Computed tomography of the spine · 500 mm wide · Sagittal slice 268/512 · a region is masked with a constant gray value
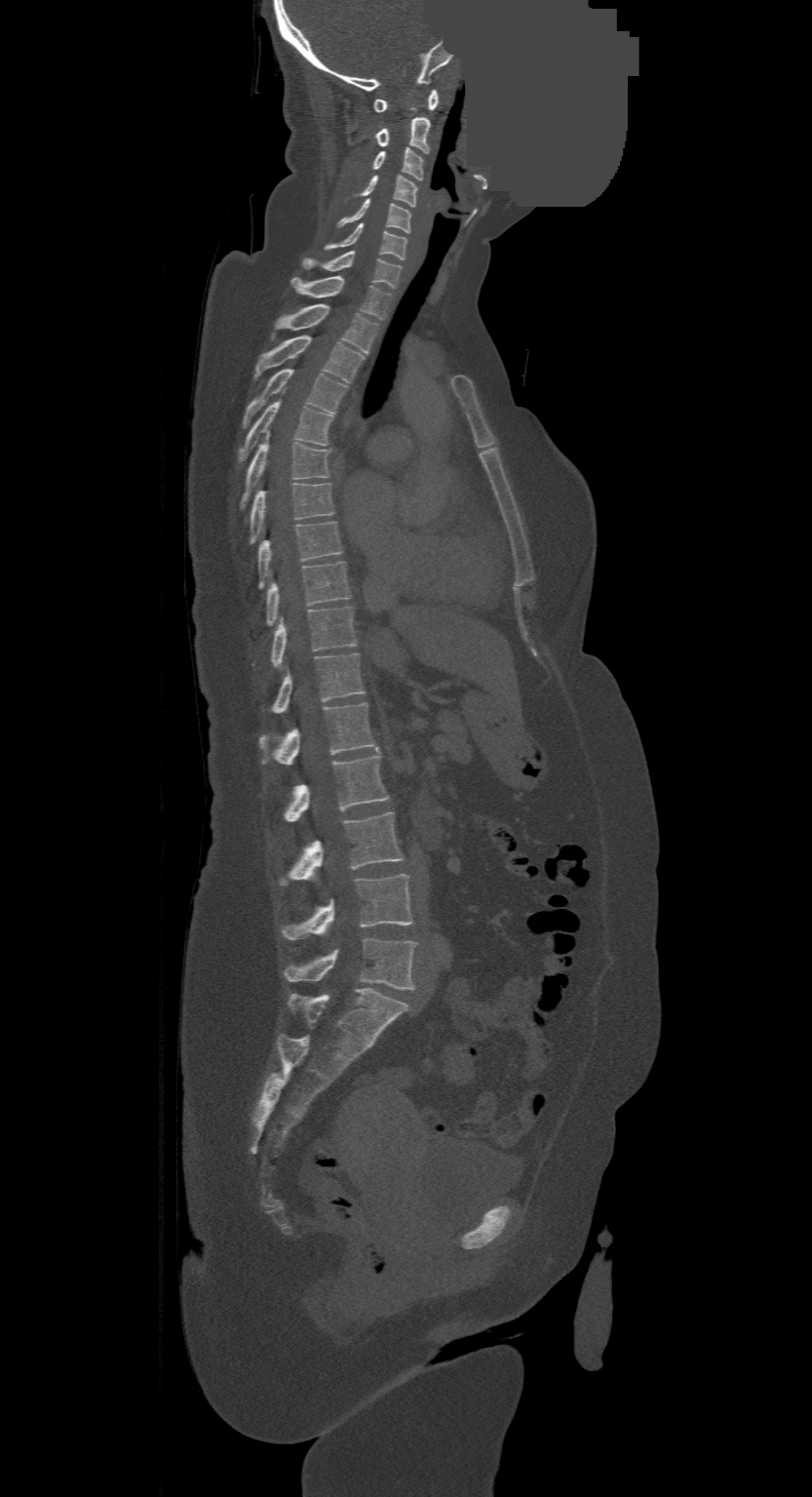
This scan's labels start at C1 at the top and end at L4 at the bottom.
<vertebrae><v name="C1" x1="374" y1="90" x2="437" y2="111"/><v name="C2" x1="376" y1="117" x2="429" y2="152"/><v name="C3" x1="374" y1="146" x2="423" y2="179"/><v name="C4" x1="362" y1="175" x2="416" y2="206"/><v name="C5" x1="338" y1="199" x2="410" y2="232"/><v name="C6" x1="326" y1="223" x2="406" y2="259"/><v name="C7" x1="301" y1="251" x2="402" y2="287"/><v name="T1" x1="290" y1="277" x2="391" y2="320"/><v name="T2" x1="273" y1="304" x2="378" y2="354"/><v name="T3" x1="253" y1="335" x2="364" y2="383"/><v name="T4" x1="245" y1="370" x2="346" y2="427"/><v name="T5" x1="241" y1="402" x2="333" y2="459"/><v name="T6" x1="241" y1="434" x2="330" y2="506"/><v name="T7" x1="251" y1="483" x2="333" y2="542"/><v name="T8" x1="258" y1="522" x2="342" y2="586"/><v name="T9" x1="266" y1="561" x2="350" y2="625"/><v name="T10" x1="271" y1="605" x2="356" y2="667"/><v name="T11" x1="273" y1="653" x2="364" y2="713"/><v name="T12" x1="260" y1="702" x2="376" y2="765"/><v name="L1" x1="284" y1="753" x2="389" y2="822"/><v name="L2" x1="281" y1="811" x2="402" y2="884"/><v name="L3" x1="283" y1="873" x2="413" y2="939"/><v name="L4" x1="284" y1="938" x2="416" y2="989"/></vertebrae>